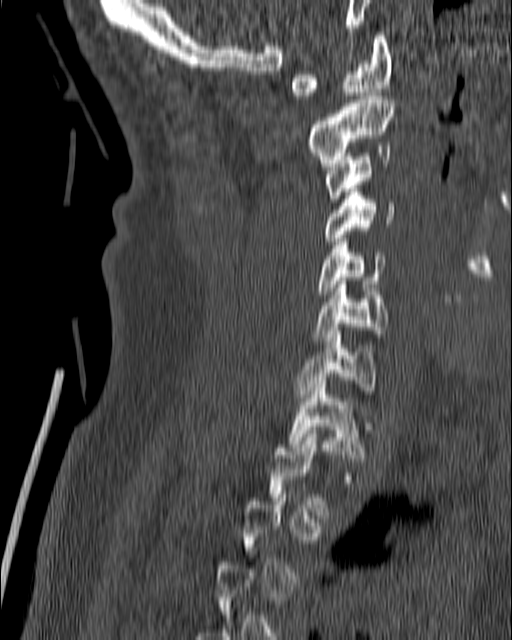 Spine computed tomography; sagittal view

Bounding boxes as [x1, y1, x2, y2] in pixel coordinates. A vertebra is boxed only from the first to the last slice where its cross-section is at least a third of its largest; slices outside that range leave it without a box. The labeled vertebrae in this slice are: T1 at [288, 377, 364, 461], C7 at [297, 331, 375, 401], C6 at [314, 281, 389, 340], C5 at [316, 238, 384, 298], C4 at [314, 185, 395, 244], C3 at [325, 146, 390, 202], C2 at [308, 96, 395, 166], C1 at [290, 32, 392, 99].